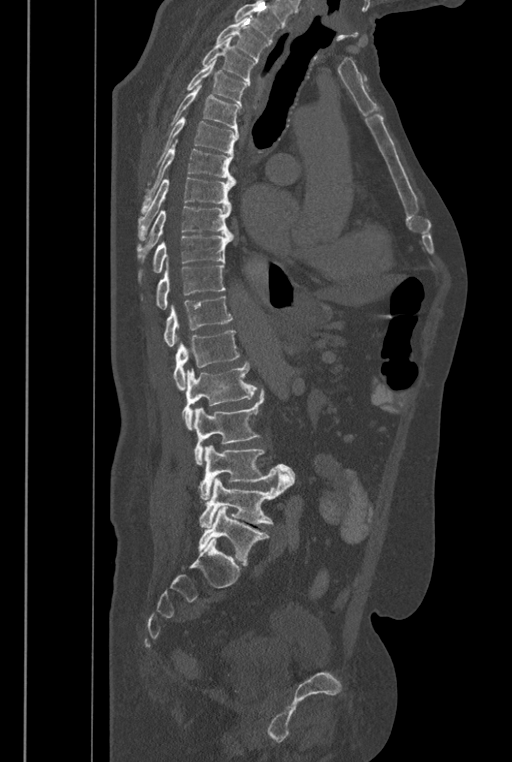 Spine CT; sagittal view; 512x762 px. Boxes: x1 y1 x2 y2 (pixel coords, space-separated). Where the top of the scan cuts through a vertebra, that vertebra gets no label or box. These labels give the spine a sixth lumbar vertebra, L6, below L5. Vertebrae labeled: L6 at 198 506 269 564, L5 at 199 471 291 527, L4 at 198 445 295 500, L3 at 194 390 264 464, L2 at 182 362 256 429, L1 at 173 330 239 390, T12 at 164 297 232 347, T11 at 156 258 225 309, T10 at 139 236 232 279, T9 at 137 205 233 262, T8 at 138 177 235 241, T7 at 141 137 234 213, T6 at 147 117 239 184, T5 at 163 83 239 136, T4 at 186 59 247 107, T3 at 202 37 256 86, T2 at 216 17 268 62.